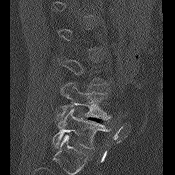
CT, spine. sagittal view. bone window
Coordinates as <box>x1,y1,x2,y2</box>.
A vertebra is boxed only from the first to the last slice where its cross-section is at least a third of its largest; slices outside that range leave it without a box.
Vertebra bounding boxes:
- L4: <box>57,82,111,121</box>
- L5: <box>53,108,111,149</box>